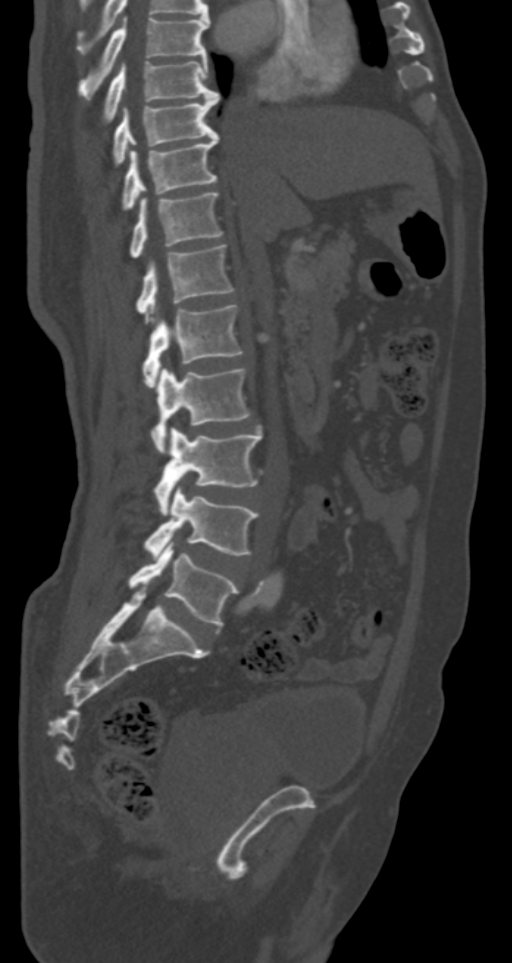

Spine computed tomography — sagittal reformat — bone window — 512x963 px. Each row gives a vertebra's box as x1, y1, x2, y2 in pixels: top-left corner, then bottom-right corner.
| vertebra | x1 | y1 | x2 | y2 |
|---|---|---|---|---|
| T7 | 78 | 17 | 209 | 99 |
| T8 | 103 | 60 | 220 | 121 |
| T9 | 112 | 94 | 218 | 165 |
| T10 | 121 | 135 | 218 | 209 |
| T11 | 130 | 192 | 223 | 257 |
| T12 | 135 | 244 | 234 | 321 |
| L1 | 142 | 305 | 243 | 387 |
| L2 | 151 | 367 | 250 | 454 |
| L3 | 155 | 428 | 263 | 515 |
| L4 | 144 | 487 | 257 | 557 |
| L5 | 128 | 541 | 238 | 627 |